CT spine · sagittal plane, index 63 · bone-window reconstruction · image width 353 mm · 9 vertebrae labeled in this scan
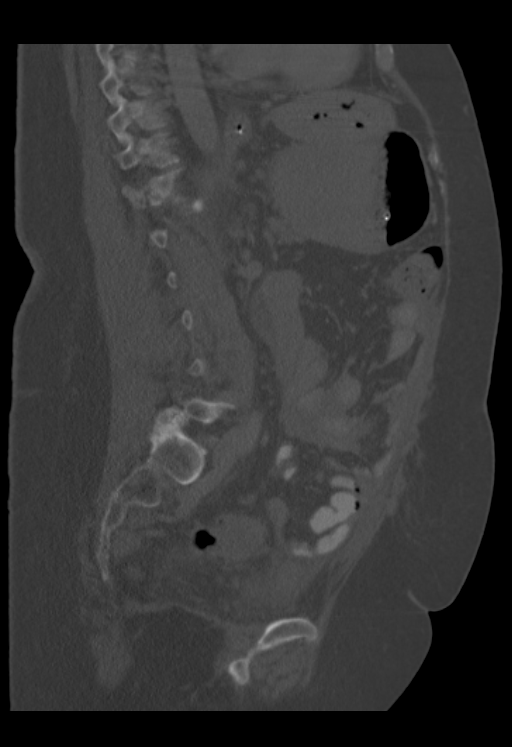
Bounding boxes as [x1, y1, x2, y2] in pixel coordinates. Not every vertebra on this slice has a box: a vertebra is boxed only from the first to the last slice where its cross-section is at least a third of its largest, and this slice is outside that range for at least one of them. 3 vertebrae labeled — T10 at [108, 97, 165, 142]; T11 at [114, 132, 179, 169]; T12 at [122, 167, 184, 209].